CT · Sagittal slice 206/512 · 512x855 px
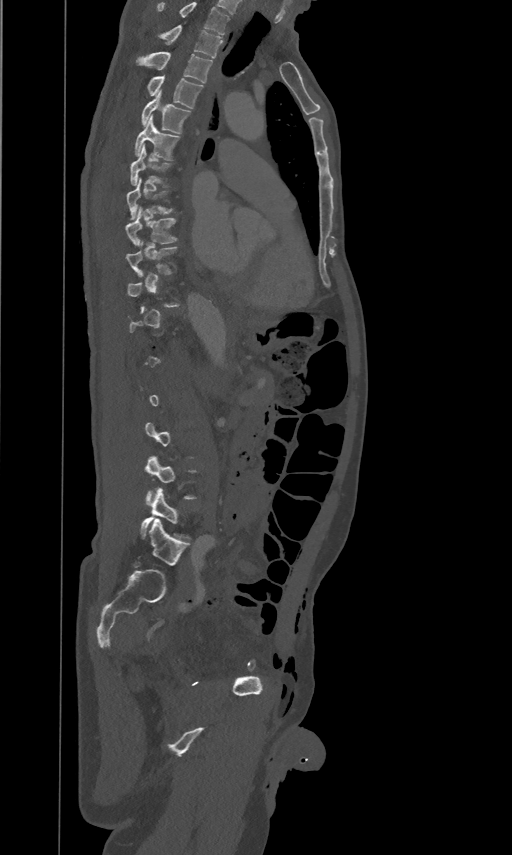 Box edges are left/top/right/bottom in pixels.
Each vertebra is boxed only on the slices from the first to the last where its cross-section reaches a third of its largest, so a slice outside that range leaves it unboxed.
Labels in this scan begin with T2 at the top and end with L5 at the bottom.
L5: left=141, top=488, right=189, bottom=539
L4: left=145, top=455, right=197, bottom=500
T10: left=127, top=240, right=177, bottom=275
T9: left=125, top=205, right=177, bottom=244
T8: left=127, top=178, right=174, bottom=219
T7: left=130, top=144, right=171, bottom=185
T6: left=134, top=115, right=179, bottom=159
T5: left=141, top=89, right=190, bottom=134
T4: left=146, top=75, right=203, bottom=108
T3: left=135, top=51, right=212, bottom=82
T2: left=160, top=23, right=223, bottom=58